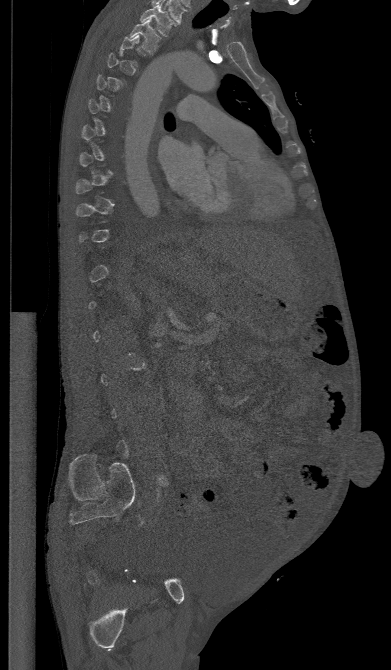 Spine computed tomography. sagittal view
Each box given as x1,y1,x2,y2.
Not every vertebra on this slice has a box: a vertebra is boxed only from the first to the last slice where its cross-section is at least a third of its largest, and this slice is outside that range for at least one of them.
| vertebra | x1 | y1 | x2 | y2 |
|---|---|---|---|---|
| T2 | 130 | 18 | 161 | 54 |
| T1 | 140 | 5 | 176 | 36 |